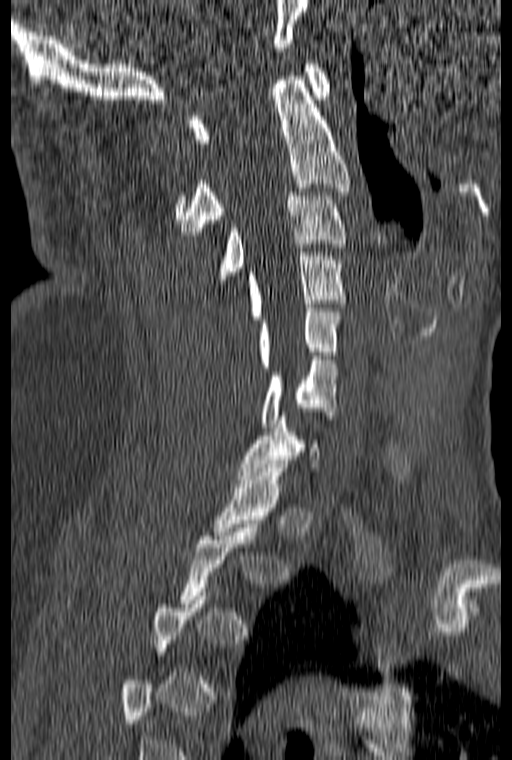

Spine CT · sagittal view · 512x760 px · image 160 mm wide. Boxes are (x1, y1, x2, y2) in pixels.
A vertebra gets a box only on the slices from the first to the last where its cross-section is at least a third of its largest; on a slice outside that range it gets none.
T1: (211, 464, 288, 539)
C7: (236, 412, 320, 479)
C6: (260, 356, 337, 427)
C5: (257, 308, 341, 367)
C4: (248, 252, 346, 319)
C3: (216, 192, 346, 283)
C2: (175, 76, 350, 235)
C1: (189, 60, 330, 143)